Spine computed tomography · sagittal reformat · image 363 mm wide · W/L 1800/400 HU · 512x612 px
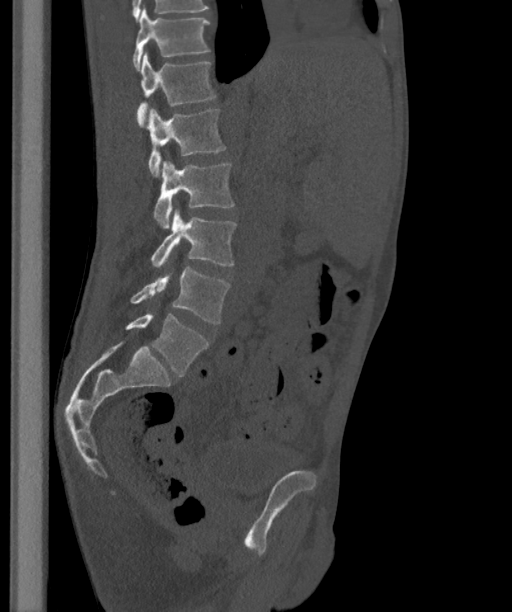
Bounding boxes as [x1, y1, x2, y2] in pixel coordinates.
These labels give the spine a sixth lumbar vertebra, L6, below L5.
L6: [125, 312, 208, 375]
L5: [130, 268, 230, 323]
L4: [151, 209, 236, 267]
L3: [154, 160, 234, 229]
L2: [146, 108, 226, 177]
L1: [136, 52, 216, 127]
T12: [132, 6, 209, 70]